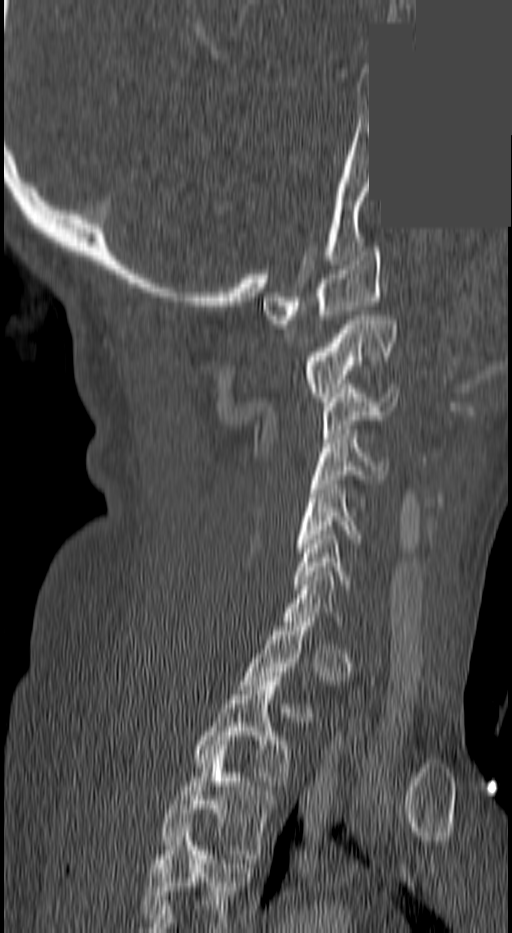

CT spine; sagittal view; 512x933 px; image width 140 mm; an area of the scan was removed and filled with constant pixels. Boxes: x1:y1:x2:y2 in pixels.
A vertebra gets a box only on the slices from the first to the last where its cross-section is at least a third of its largest; on a slice outside that range it gets none.
In this scan, the topmost labeled vertebra is C1 and the lowest is T3.
C1: 263:247:381:324
C2: 302:315:395:401
C3: 324:389:399:438
C4: 312:434:384:488
C5: 295:485:362:552
C6: 290:535:351:589
T2: 192:677:293:790
T3: 159:750:278:858